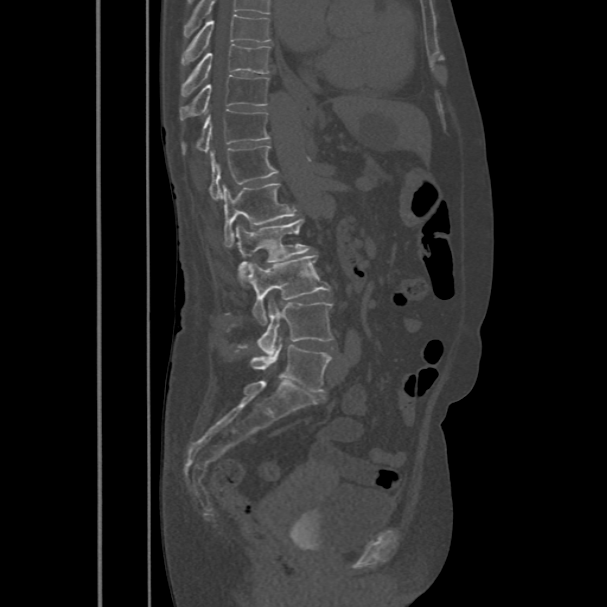

Computed tomography of the spine — sagittal view — 607x607 px
Boxes are (x1, y1, x2, y2) in pixels.
Labels in this scan begin with T8 at the top and end with L5 at the bottom.
Vertebra bounding boxes:
- T8: (181, 13, 271, 65)
- T9: (181, 43, 271, 96)
- T10: (180, 75, 269, 120)
- T11: (183, 110, 269, 152)
- T12: (210, 145, 278, 200)
- L1: (221, 183, 298, 246)
- L2: (231, 218, 311, 284)
- L3: (246, 255, 330, 324)
- L4: (257, 298, 332, 355)
- L5: (251, 336, 331, 391)